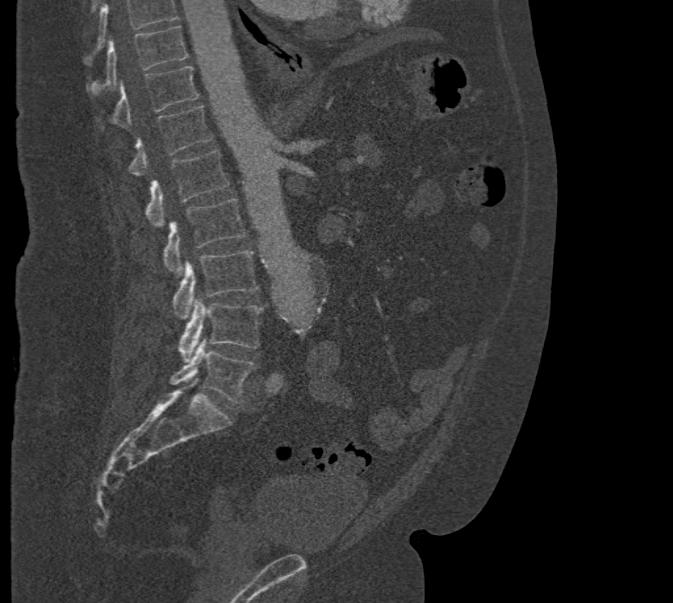
Spine CT. 471 mm image width. sagittal view
Bounding boxes as [x1, y1, x2, y2] in pixel coordinates.
No box is given to a vertebra that the top edge of the scan cuts off.
T10: [87, 26, 187, 94]
T11: [112, 66, 199, 128]
T12: [130, 106, 213, 175]
L1: [146, 150, 229, 227]
L2: [164, 199, 246, 275]
L3: [172, 250, 258, 319]
L4: [179, 298, 263, 361]
L5: [170, 339, 255, 402]